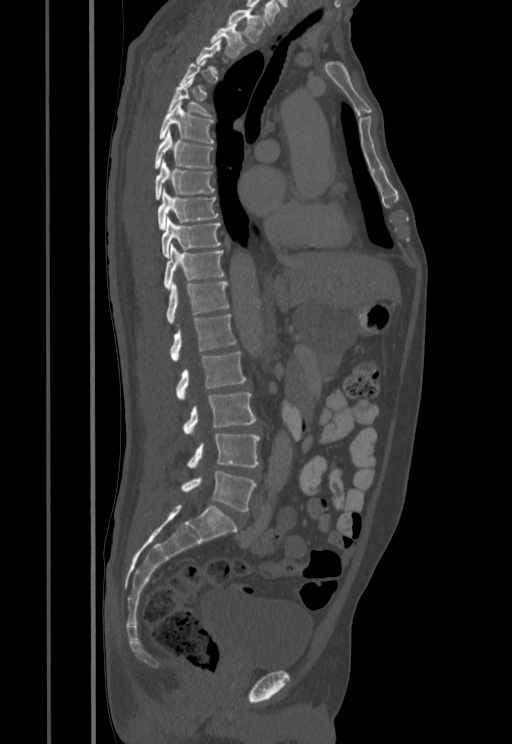

CT spine — image 455 mm wide — sagittal reformat

Not every vertebra on this slice has a box: a vertebra is boxed only from the first to the last slice where its cross-section is at least a third of its largest, and this slice is outside that range for at least one of them.
<vertebrae><v name="L5" x1="181" y1="471" x2="257" y2="511"/><v name="L4" x1="187" y1="433" x2="260" y2="467"/><v name="L3" x1="183" y1="392" x2="255" y2="434"/><v name="L2" x1="175" y1="352" x2="245" y2="400"/><v name="L1" x1="170" y1="314" x2="236" y2="360"/><v name="T12" x1="166" y1="281" x2="228" y2="324"/><v name="T11" x1="163" y1="245" x2="224" y2="290"/><v name="T10" x1="161" y1="218" x2="221" y2="256"/><v name="T9" x1="157" y1="190" x2="218" y2="228"/><v name="T8" x1="154" y1="160" x2="214" y2="200"/><v name="T7" x1="154" y1="131" x2="213" y2="169"/><v name="T6" x1="159" y1="101" x2="214" y2="144"/><v name="T5" x1="168" y1="77" x2="212" y2="117"/><v name="T2" x1="210" y1="21" x2="246" y2="58"/><v name="T1" x1="227" y1="8" x2="266" y2="41"/></vertebrae>